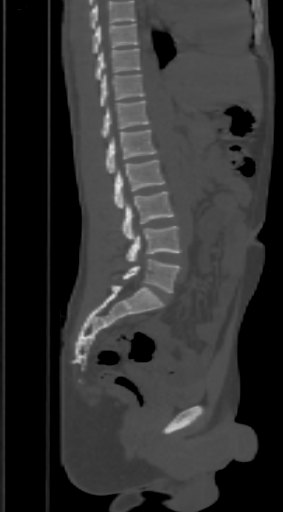 CT, spine; sagittal view; bone-window reconstruction; 283x512 px; the image spans 303 mm across

In the table, x1 and y1 are a box's top-left corner and x2 and y2 its bottom-right corner, in pixels.
No box is given to a vertebra that the top edge of the scan cuts off.
| vertebra | x1 | y1 | x2 | y2 |
|---|---|---|---|---|
| T9 | 92 | 23 | 139 | 53 |
| T10 | 95 | 48 | 139 | 79 |
| T11 | 101 | 74 | 145 | 106 |
| T12 | 101 | 101 | 150 | 138 |
| L1 | 106 | 129 | 156 | 174 |
| L2 | 115 | 159 | 164 | 208 |
| L3 | 120 | 191 | 173 | 240 |
| L4 | 126 | 226 | 181 | 261 |
| L5 | 123 | 259 | 181 | 293 |